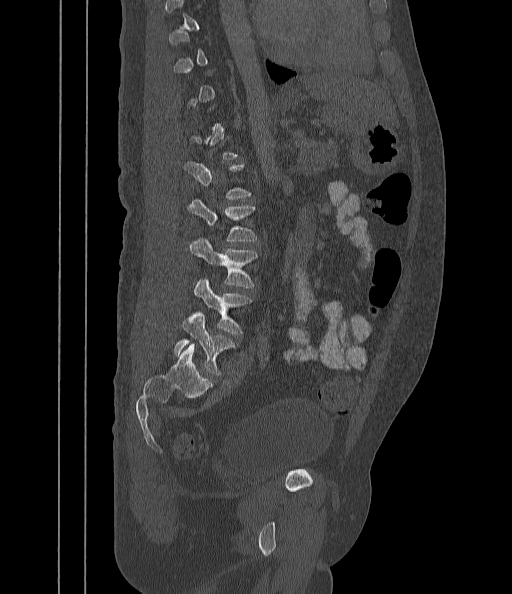 Spine computed tomography; sagittal view; bone window; 442 mm across the image
Each vertebra maps to its box as [x1, y1, x2, y2], the pixel coordinates of its top-left and bottom-right corners.
Each vertebra is boxed only on the slices from the first to the last where its cross-section reaches a third of its largest, so a slice outside that range leaves it unboxed.
{"vertebrae":{"L2":[188,200,256,241],"L3":[190,238,257,287],"L4":[193,280,250,334],"L5":[174,313,234,374]}}